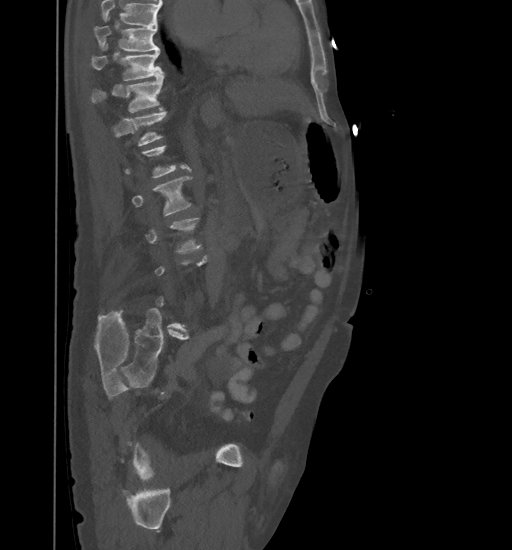
CT — sagittal view — image 461 mm wide — W/L 1800/400 HU. Boxes: x1:y1:x2:y2 in pixels. Each vertebra is boxed only on the slices from the first to the last where its cross-section reaches a third of its largest, so a slice outside that range leaves it unboxed. Vertebrae that run past the top of the scan are left unlabeled. The labeled vertebrae in this slice are: T9 at 93:20:159:51, T10 at 90:44:163:80, T11 at 91:72:163:112, T12 at 130:109:166:146, L2 at 132:177:191:215.